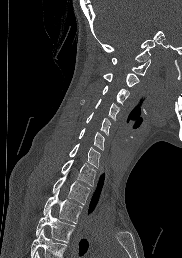
Spine computed tomography. sagittal view
Each box given as x1,y1,x2,y2.
Vertebrae that run past the bottom of the scan are left unlabeled.
Vertebra bounding boxes:
- C1: x1=111, y1=58, x2=150, y2=75
- C2: x1=103, y1=73, x2=138, y2=91
- C3: x1=102, y1=85, x2=128, y2=105
- C4: x1=80, y1=99, x2=119, y2=120
- C5: x1=86, y1=112, x2=110, y2=135
- C6: x1=78, y1=128, x2=104, y2=150
- C7: x1=69, y1=143, x2=100, y2=167
- T1: x1=61, y1=159, x2=95, y2=186
- T2: x1=52, y1=173, x2=90, y2=204
- T3: x1=43, y1=190, x2=82, y2=223
- T4: x1=35, y1=209, x2=74, y2=242